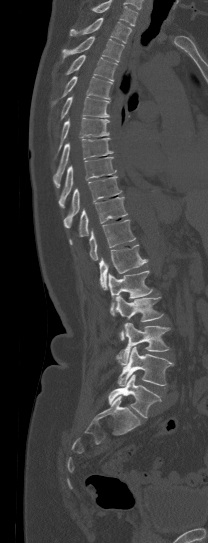

Spine computed tomography; sagittal reformat; W/L 1800/400 HU
A vertebra cut off by the top edge of the scan is not labeled and has no box.
<vertebrae><v name="T1" x1="69" y1="17" x2="132" y2="43"/><v name="T2" x1="62" y1="36" x2="124" y2="62"/><v name="T3" x1="66" y1="55" x2="117" y2="81"/><v name="T4" x1="53" y1="76" x2="112" y2="103"/><v name="T5" x1="61" y1="96" x2="110" y2="119"/><v name="T6" x1="56" y1="117" x2="110" y2="156"/><v name="T7" x1="53" y1="138" x2="113" y2="187"/><v name="T8" x1="58" y1="157" x2="116" y2="207"/><v name="T9" x1="64" y1="176" x2="121" y2="228"/><v name="T10" x1="69" y1="197" x2="127" y2="244"/><v name="T11" x1="89" y1="220" x2="135" y2="260"/><v name="T12" x1="99" y1="244" x2="148" y2="290"/><v name="L1" x1="108" y1="270" x2="152" y2="316"/><v name="L2" x1="115" y1="296" x2="162" y2="339"/><v name="L3" x1="115" y1="322" x2="170" y2="365"/><v name="L4" x1="117" y1="347" x2="174" y2="386"/><v name="L5" x1="108" y1="374" x2="162" y2="417"/></vertebrae>